Spine computed tomography; sagittal reformat; bone window
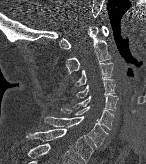

Each box given as x1,y1,x2,y2.
Vertebra bounding boxes:
- C1: x1=60, y1=26, x2=108, y2=49
- C2: x1=66, y1=25, x2=111, y2=73
- C3: x1=75, y1=62, x2=112, y2=86
- C4: x1=76, y1=79, x2=115, y2=98
- C5: x1=74, y1=94, x2=118, y2=111
- C6: x1=61, y1=105, x2=113, y2=130
- C7: x1=42, y1=116, x2=107, y2=147
- T1: x1=26, y1=128, x2=93, y2=162